CT, spine; Sagittal slice 215/512; 180 mm across the image; W/L 1800/400 HU; scan covers 14 annotated vertebrae
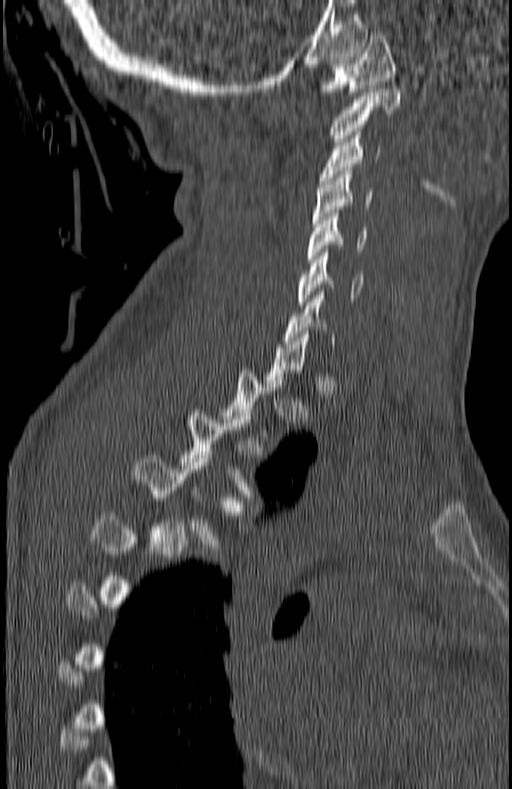 Boxes below are [x1, y1, x2, y2] in pixels.
A vertebra is boxed only from the first to the last slice where its cross-section is at least a third of its largest; slices outside that range leave it without a box.
{"vertebrae":{"T4":[135,455,247,554],"T3":[180,412,259,504],"C7":[285,292,336,347],"C6":[297,249,364,305],"C5":[307,210,367,262],"C4":[314,171,373,223],"C3":[319,132,380,184],"C2":[328,89,401,145],"C1":[318,32,395,95]}}